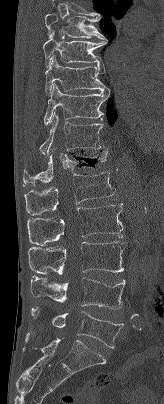

Spine computed tomography. sagittal view. bone-window reconstruction. 164x404 px
Coordinates as <box>x1,y1,x2,y2</box>. In this scan, the topmost labeled vertebra is T7 and the lowest is L5. Vertebrae labeled: T7 at <box>45,13,107,40</box>, T8 at <box>43,31,107,67</box>, T9 at <box>45,55,109,95</box>, T10 at <box>44,83,109,125</box>, T11 at <box>39,112,106,154</box>, T12 at <box>23,148,107,185</box>, L1 at <box>24,171,115,215</box>, L2 at <box>27,203,123,245</box>, L3 at <box>28,241,126,274</box>, L4 at <box>30,276,125,309</box>, L5 at <box>31,306,123,348</box>.